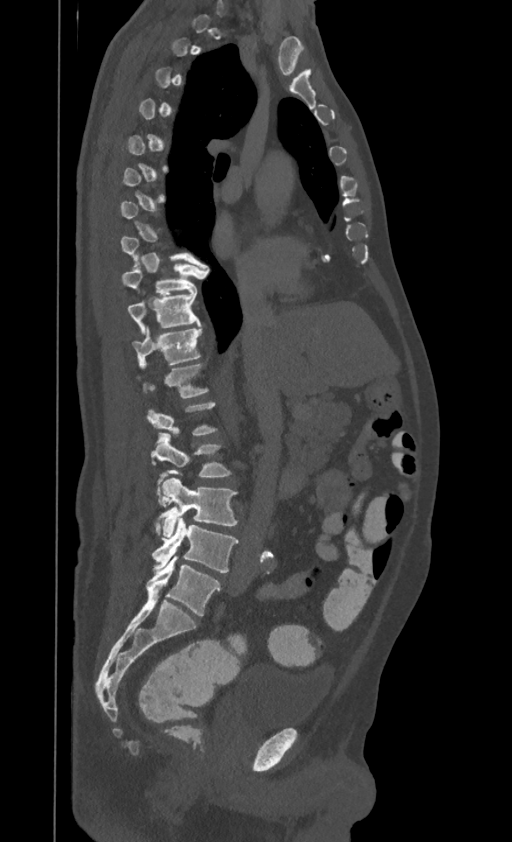
Computed tomography of the spine — image width 395 mm — sagittal reformat — bone window

Each box given as x1,y1,x2,y2. A vertebra is boxed only from the first to the last slice where its cross-section is at least a third of its largest; slices outside that range leave it without a box. This scan's labels start at T1 at the top and end at L4 at the bottom. 6 vertebrae labeled — L4 at x1=153, y1=517, x2=237, y2=572; L3 at x1=154, y1=477, x2=236, y2=538; L2 at x1=152, y1=433, x2=230, y2=484; T11 at x1=133, y1=327, x2=201, y2=364; T10 at x1=127, y1=289, x2=200, y2=331; T9 at x1=120, y1=262, x2=204, y2=294.